CT, spine — sagittal view — W/L 1800/400 HU — 512x973 px — 17 vertebrae labeled in this scan
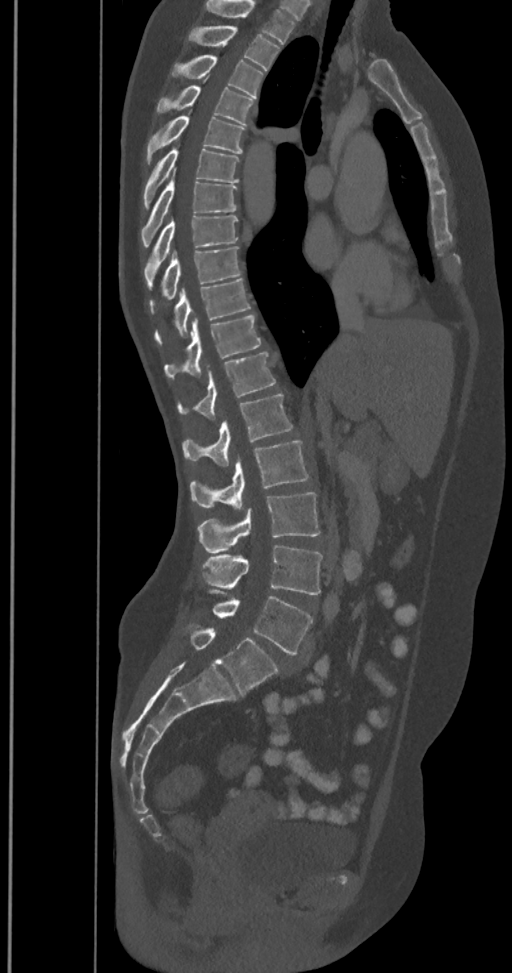

Box edges are left/top/right/bottom in pixels. In this scan, the topmost labeled vertebra is T2 and the lowest is L6. The labels name a sixth lumbar vertebra for this spine: L6, after L5. Vertebrae labeled: T2 at left=190, top=25, right=280, bottom=71, T3 at left=171, top=54, right=264, bottom=98, T4 at left=156, top=86, right=253, bottom=125, T5 at left=146, top=116, right=246, bottom=164, T6 at left=143, top=150, right=239, bottom=208, T7 at left=140, top=176, right=237, bottom=247, T8 at left=143, top=216, right=239, bottom=287, T9 at left=149, top=246, right=240, bottom=314, T10 at left=155, top=278, right=250, bottom=344, T11 at left=164, top=315, right=261, bottom=378, T12 at left=177, top=352, right=275, bottom=419, L1 at left=183, top=394, right=293, bottom=466, L2 at left=190, top=441, right=309, bottom=509, L3 at left=197, top=492, right=321, bottom=552, L4 at left=203, top=545, right=322, bottom=594, L5 at left=210, top=590, right=313, bottom=655, L6 at left=191, top=628, right=278, bottom=695.